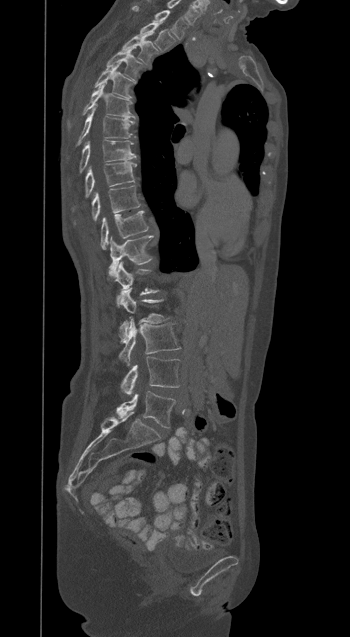 CT — sagittal reformat — Bone window (WL 400, WW 1800)
Each box given as x1,y1,x2,y2.
Vertebra bounding boxes:
- T1: x1=133, y1=7, x2=186, y2=39
- T2: x1=140, y1=22, x2=174, y2=49
- T3: x1=122, y1=35, x2=155, y2=62
- T4: x1=107, y1=49, x2=141, y2=78
- T5: x1=95, y1=65, x2=131, y2=98
- T6: x1=68, y1=84, x2=135, y2=125
- T7: x1=78, y1=108, x2=133, y2=144
- T8: x1=80, y1=140, x2=135, y2=172
- T9: x1=85, y1=162, x2=136, y2=197
- T10: x1=92, y1=186, x2=140, y2=221
- T11: x1=101, y1=211, x2=148, y2=248
- T12: x1=109, y1=236, x2=152, y2=277
- L1: x1=110, y1=262, x2=158, y2=305
- L2: x1=119, y1=288, x2=166, y2=342
- L3: x1=119, y1=319, x2=179, y2=365
- L4: x1=120, y1=356, x2=179, y2=395
- L5: x1=116, y1=391, x2=175, y2=428